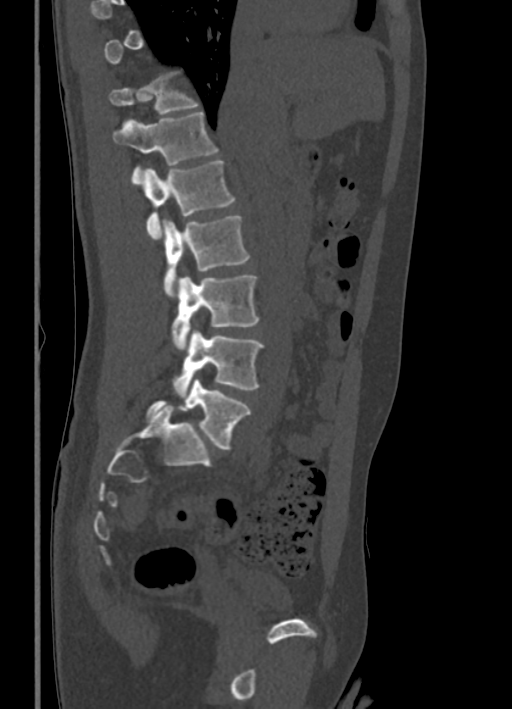

CT spine. sagittal view. image 336 mm wide. W/L 1800/400 HU

Box edges are left/top/right/bottom in pixels.
A vertebra gets a box only on the slices from the first to the last where its cross-section is at least a third of its largest; on a slice outside that range it gets none.
T11: left=108, top=72, right=198, bottom=114
T12: left=113, top=111, right=218, bottom=183
L1: left=142, top=160, right=235, bottom=239
L2: left=161, top=215, right=250, bottom=297
L3: left=172, top=276, right=259, bottom=349
L4: left=174, top=329, right=262, bottom=397
L5: left=145, top=379, right=250, bottom=449